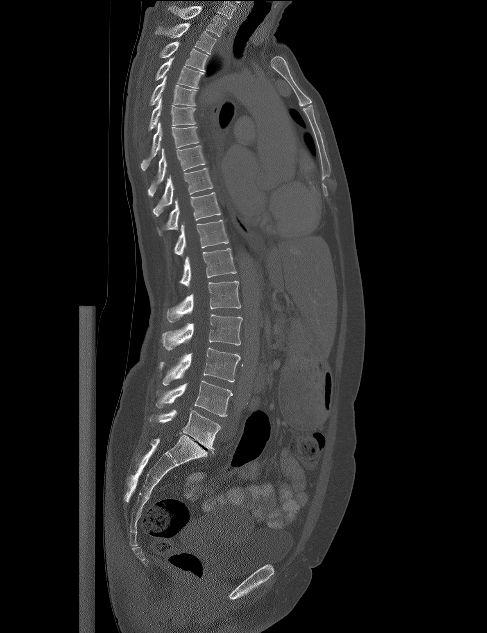

Computed tomography of the spine. sagittal view. image 487 mm wide. Bone window (WL 400, WW 1800)

Boxes: x1:y1:x2:y2 in pixels. 17 vertebrae labeled — T1 at 168:6:226:36; T2 at 155:23:216:53; T3 at 159:41:208:71; T4 at 155:57:204:88; T5 at 149:76:196:105; T6 at 148:97:196:131; T7 at 140:122:200:170; T8 at 148:145:205:196; T9 at 152:168:213:216; T10 at 157:192:221:236; T11 at 173:220:229:256; T12 at 178:248:236:287; L1 at 166:281:241:322; L2 at 161:314:242:350; L3 at 158:348:240:385; L4 at 155:380:232:416; L5 at 149:409:220:451.